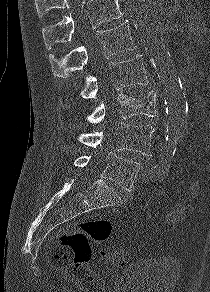 CT, spine; image width 210 mm; sagittal reformat; bone-window reconstruction. Coordinates as <box>x1,y1,x2,y2</box>.
A vertebra cut off by the top edge of the scan is not labeled and has no box.
L5: <box>73,152,141,191</box>
L4: <box>77,122,154,156</box>
L3: <box>87,91,156,123</box>
L2: <box>79,55,148,98</box>
L1: <box>49,21,136,77</box>